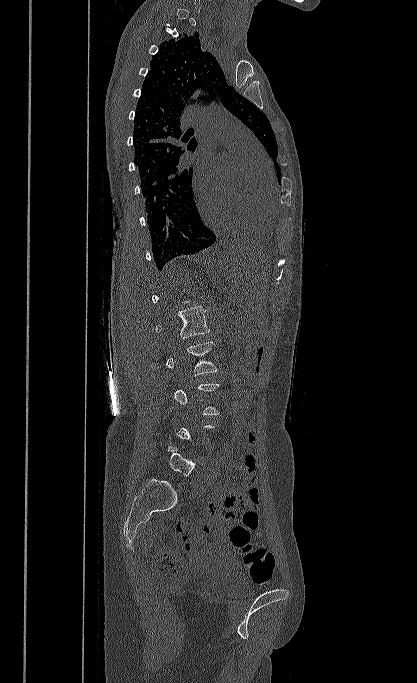
Spine CT · sagittal view · image 417 mm wide · W/L 1800/400 HU
Boxes are given in columns x1, y1, x2, y2, the pixel coordinates of their top-left and bottom-right corners.
Not every vertebra on this slice has a box: a vertebra is boxed only from the first to the last slice where its cross-section is at least a third of its largest, and this slice is outside that range for at least one of them.
| vertebra | x1 | y1 | x2 | y2 |
|---|---|---|---|---|
| L1 | 155 | 306 | 210 | 338 |
| L2 | 166 | 341 | 218 | 375 |
| L5 | 167 | 445 | 199 | 476 |